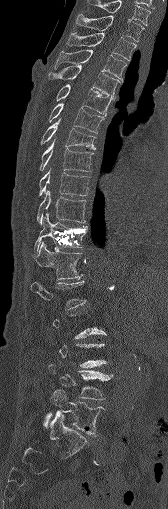

CT; sagittal view; W/L 1800/400 HU; 168x509 px. Boxes: x1:y1:x2:y2 in pixels. A vertebra is boxed only from the first to the last slice where its cross-section is at least a third of its largest; slices outside that range leave it without a box. 16 vertebrae labeled — C7 at 88:0:150:24; T1 at 76:14:143:41; T2 at 67:33:136:60; T3 at 55:50:126:78; T4 at 49:65:119:97; T5 at 56:84:113:116; T6 at 47:103:103:132; T7 at 39:121:95:149; T8 at 39:142:92:171; T9 at 38:170:90:196; T10 at 36:190:86:225; T11 at 34:215:87:251; T12 at 35:241:82:279; L1 at 31:281:85:308; L4 at 49:364:112:400; L5 at 45:389:104:436.